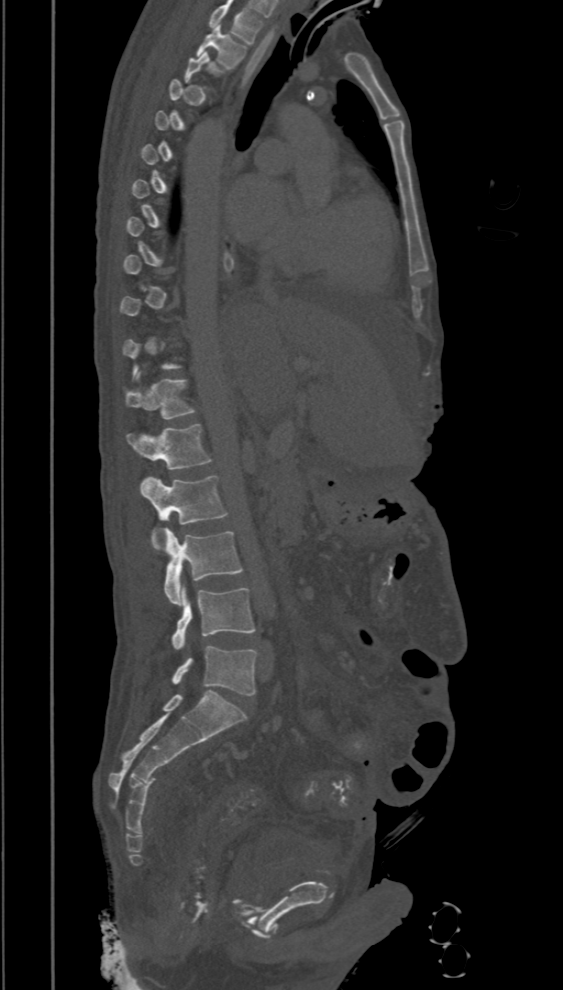
Spine computed tomography; sagittal view; 563x990 px
Each vertebra maps to its box as [x1, y1, x2, y2], the pixel coordinates of its top-left and bottom-right corners.
Not every vertebra on this slice has a box: a vertebra is boxed only from the first to the last slice where its cross-section is at least a third of its largest, and this slice is outside that range for at least one of them.
In this scan, the topmost labeled vertebra is T2 and the lowest is L5.
{"vertebrae":{"T2":[197,26,246,68],"T12":[125,372,195,419],"L1":[128,425,211,469],"L2":[140,476,228,548],"L3":[157,527,242,605],"L4":[171,585,254,649],"L5":[173,646,256,695]}}